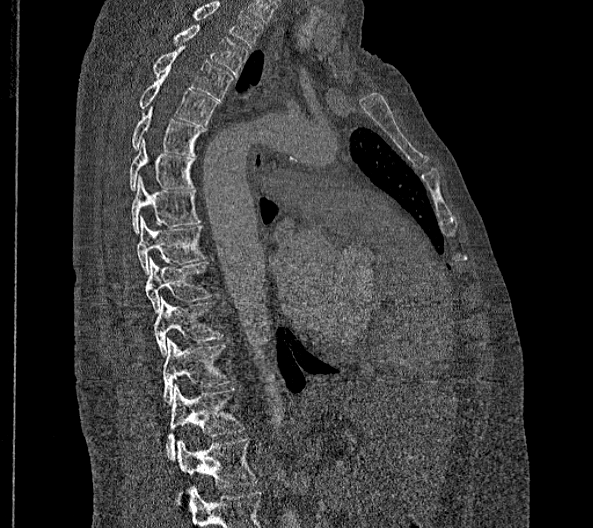 CT, spine · sagittal view · 593x528 px

Each box is [x1, y1, x2, y2] in pixels: top-left corner, then bottom-right corner.
Labels in this scan begin with T2 at the top and end with L2 at the bottom.
In these labels the spine has no T12: the thoracic vertebrae end at T11, and L1 comes next.
{"vertebrae":{"T2":[173,25,247,76],"T3":[152,46,232,99],"T4":[138,74,217,126],"T5":[132,106,206,156],"T6":[129,138,194,191],"T7":[131,175,201,233],"T8":[137,216,205,274],"T9":[145,256,210,312],"T10":[155,297,221,357],"T11":[163,338,231,402],"L1":[166,384,244,459],"L2":[176,438,259,487]}}